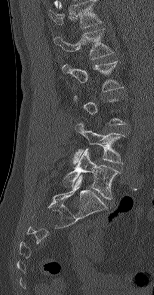
Spine CT. sagittal reformat. 154x295 px. the image spans 154 mm across
A vertebra is boxed only from the first to the last slice where its cross-section is at least a third of its largest; slices outside that range leave it without a box.
In this scan, the topmost labeled vertebra is L1 and the lowest is L5.
<vertebrae><v name="L1" x1="54" y1="29" x2="113" y2="59"/><v name="L2" x1="62" y1="61" x2="120" y2="91"/><v name="L4" x1="72" y1="123" x2="123" y2="163"/><v name="L5" x1="64" y1="149" x2="118" y2="199"/></vertebrae>